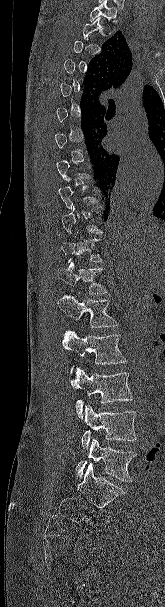 CT spine · sagittal reformat · Bone window (WL 400, WW 1800) · 165x607 px · 165 mm image width
In the table, x1 and y1 are a box's top-left corner and x2 and y2 its bottom-right corner, in pixels.
A vertebra is boxed only from the first to the last slice where its cross-section is at least a third of its largest; slices outside that range leave it without a box.
| vertebra | x1 | y1 | x2 | y2 |
|---|---|---|---|---|
| L5 | 75 | 438 | 136 | 482 |
| L4 | 81 | 404 | 136 | 450 |
| L3 | 70 | 368 | 132 | 418 |
| L2 | 62 | 330 | 126 | 374 |
| L1 | 58 | 295 | 118 | 327 |
| T12 | 58 | 261 | 109 | 294 |
| T11 | 61 | 238 | 102 | 262 |
| T10 | 61 | 205 | 102 | 234 |